CT, spine. the image is 446 mm wide. sagittal plane, index 256. 512x762 px
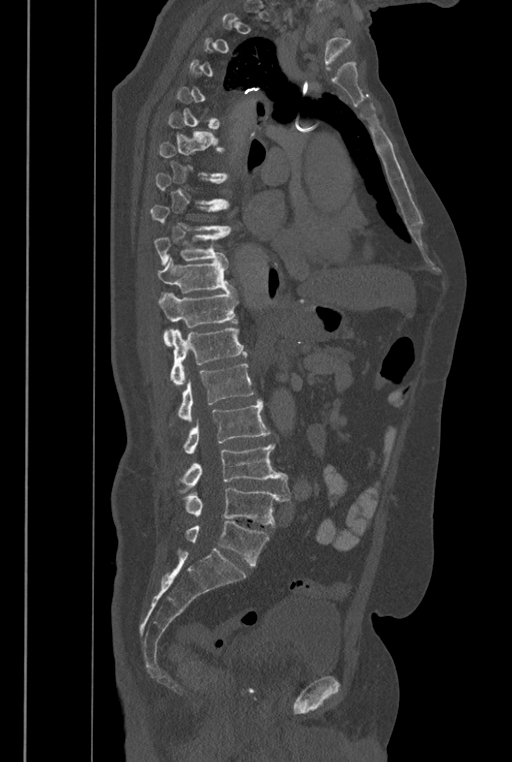

Each box given as x1,y1,x2,y2.
Not every vertebra on this slice has a box: a vertebra is boxed only from the first to the last slice where its cross-section is at least a third of its largest, and this slice is outside that range for at least one of them.
These labels give the spine a sixth lumbar vertebra, L6, below L5.
Vertebra bounding boxes:
- T10: x1=154, y1=231, x2=231, y2=265
- T11: x1=157, y1=257, x2=233, y2=293
- T12: x1=158, y1=291, x2=238, y2=346
- L1: x1=170, y1=328, x2=247, y2=384
- L2: x1=178, y1=363, x2=254, y2=422
- L3: x1=184, y1=400, x2=270, y2=454
- L4: x1=181, y1=444, x2=291, y2=494
- L5: x1=185, y1=488, x2=289, y2=526
- L6: x1=186, y1=521, x2=269, y2=565